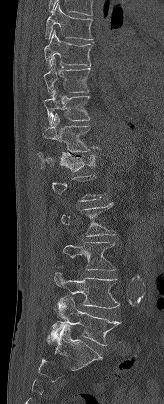

Spine computed tomography. sagittal view. the image is 164 mm wide. Bone window (WL 400, WW 1800)
Coordinates as <box>x1,y1,x2,y2</box>.
A vertebra is boxed only from the first to the last slice where its cross-section is at least a third of its largest; slices outside that range leave it without a box.
L5: <box>53,296,120,345</box>
L4: <box>54,272,119,308</box>
L3: <box>63,242,116,271</box>
T12: <box>38,151,97,171</box>
T11: <box>42,113,99,152</box>
T10: <box>43,88,90,125</box>
T9: <box>43,56,90,95</box>
T8: <box>44,30,91,68</box>
T7: <box>45,1,92,39</box>